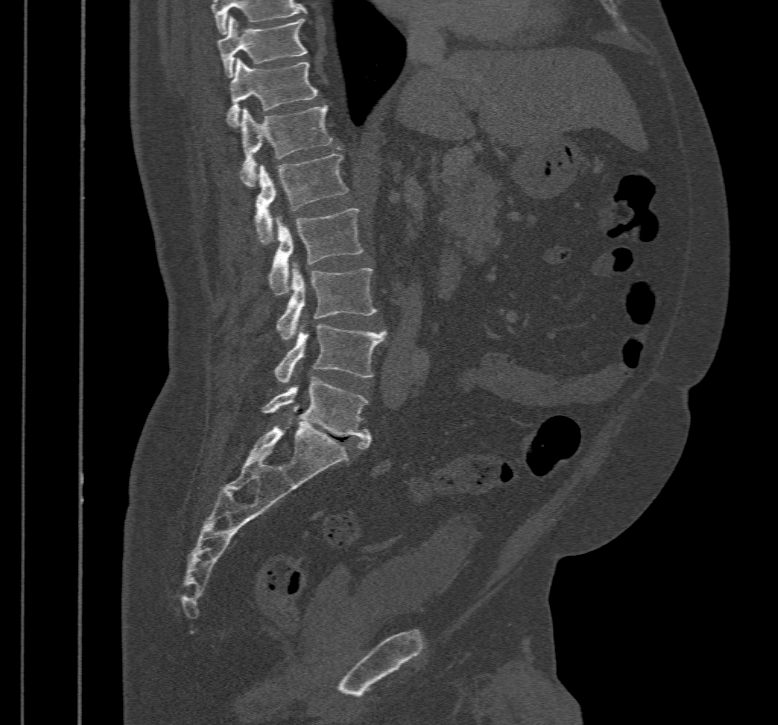

CT, spine; sagittal view; 778x725 px; image width 467 mm
Each box is [x1, y1, x2, y2] in pixels: top-left corner, then bottom-right corner.
The highest labeled vertebra in this scan is T10; the lowest is L5.
{"vertebrae":{"T10":[216,17,308,78],"T11":[227,57,317,126],"T12":[240,105,332,186],"L1":[255,153,347,244],"L2":[268,209,362,294],"L3":[277,262,376,339],"L4":[274,324,388,383],"L5":[260,377,370,448]}}